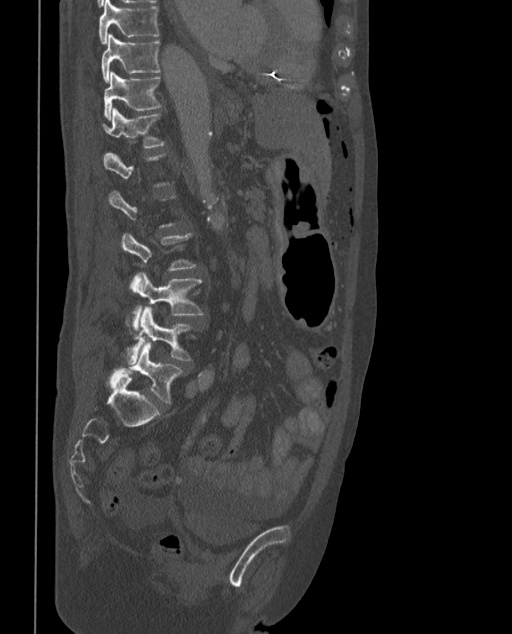

Spine computed tomography. sagittal view

Boxes: x1 y1 x2 y2 (pixel coords, space-separated). Not every vertebra on this slice has a box: a vertebra is boxed only from the first to the last slice where its cross-section is at least a third of its largest, and this slice is outside that range for at least one of them. In these labels the spine has an L6, a sixth lumbar vertebra below L5. The labeled vertebrae in this slice are: T9 at 99 0 159 43, T10 at 101 35 159 82, T11 at 104 72 161 120, T12 at 101 109 165 148, L4 at 130 273 203 331, L5 at 127 308 194 362, L6 at 107 343 183 404.